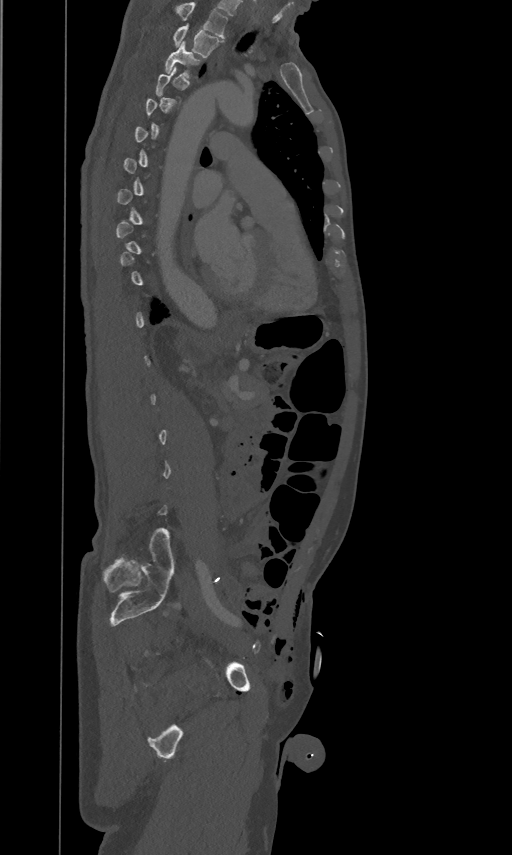
CT · sagittal view · W/L 1800/400 HU. Boxes are given in columns x1, y1, x2, y2, the pixel coordinates of their top-left and bottom-right corners.
A vertebra gets a box only on the slices from the first to the last where its cross-section is at least a third of its largest; on a slice outside that range it gets none.
Labels in this scan begin with T2 at the top and end with L5 at the bottom.
| vertebra | x1 | y1 | x2 | y2 |
|---|---|---|---|---|
| T3 | 165 | 41 | 200 | 77 |
| T2 | 172 | 23 | 222 | 57 |